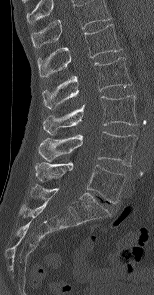

Spine computed tomography · sagittal view · Bone window (WL 400, WW 1800) · 154x295 px · the image is 154 mm wide. Box edges are left/top/right/bottom in pixels. The highest labeled vertebra in this scan is L1; the lowest is L5. The labeled vertebrae in this slice are: L5 at left=35, top=162, right=127, bottom=203, L4 at left=38, top=131, right=136, bottom=166, L3 at left=43, top=95, right=137, bottom=134, L2 at left=42, top=57, right=132, bottom=109, L1 at left=37, top=24, right=121, bottom=77.